Spine CT. sagittal reformat. scan covers 11 annotated vertebrae
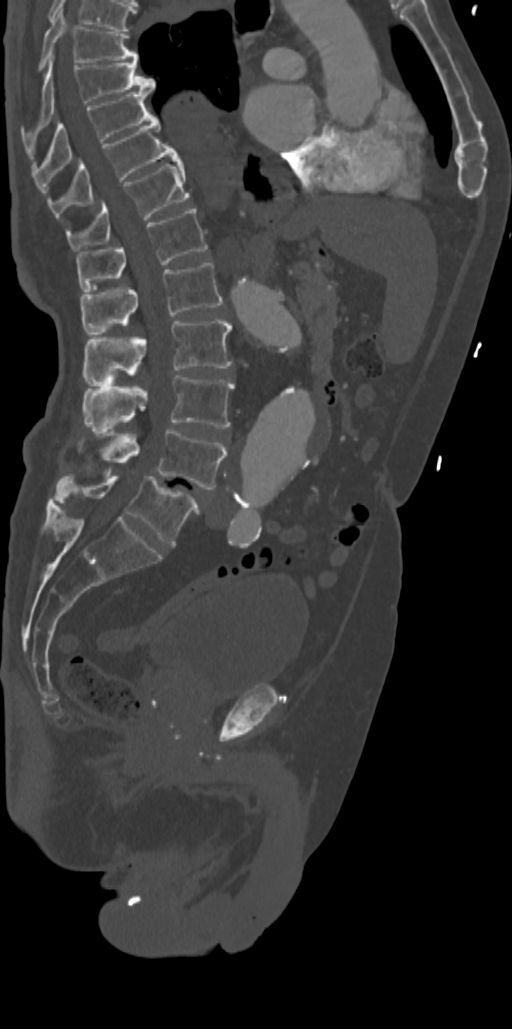
Bounding boxes as [x1, y1, x2, y2] in pixel coordinates.
L5: [51, 474, 198, 545]
L4: [78, 427, 226, 489]
L3: [84, 375, 234, 430]
L2: [84, 319, 231, 383]
L1: [81, 263, 222, 334]
T12: [76, 207, 207, 291]
T11: [66, 162, 189, 251]
T10: [48, 112, 179, 217]
T9: [31, 90, 150, 174]
T8: [22, 56, 155, 138]
T7: [39, 9, 137, 69]